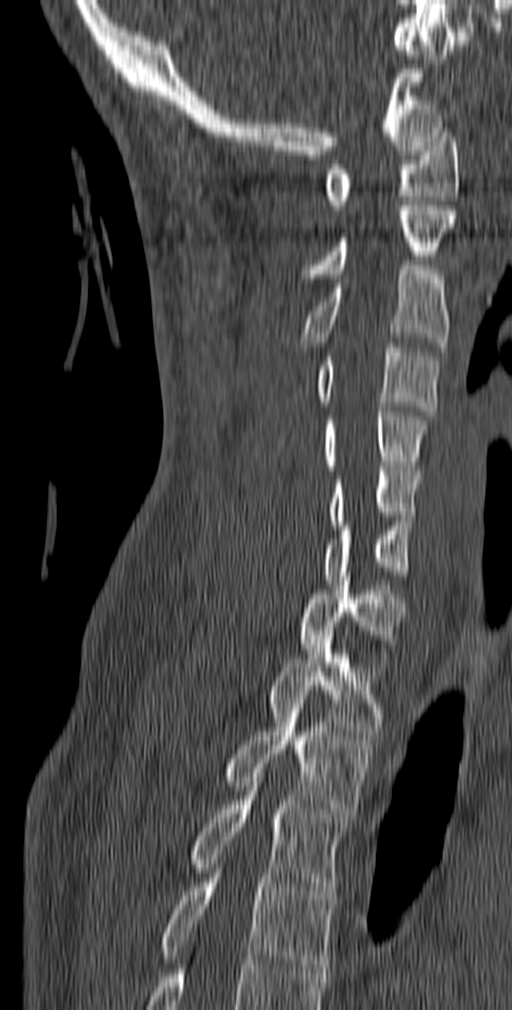
Spine CT; sagittal reformat; W/L 1800/400 HU; 140 mm image width. Coordinates as <box>x1,y1,x2,y2</box>. The labeled vertebrae in this slice are: T5 at <box>160,873,338,973</box>, T4 at <box>192,777,348,900</box>, T3 at <box>224,709,372,817</box>, T2 at <box>268,631,385,740</box>, T1 at <box>295,576,406,666</box>, C7 at <box>323,521,413,584</box>, C6 at <box>329,466,421,525</box>, C5 at <box>323,407,428,470</box>, C4 at <box>316,343,439,415</box>, C3 at <box>297,265,450,356</box>, C2 at <box>301,206,456,278</box>, C1 at <box>323,128,459,209</box>.